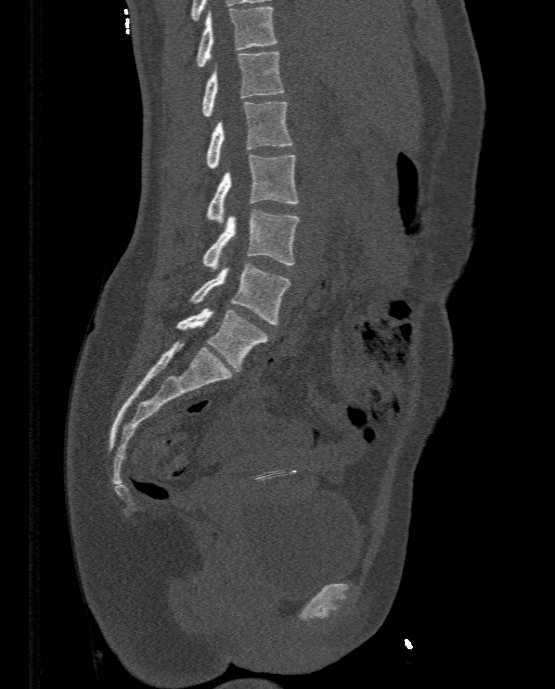

CT, spine — 333 mm wide — sagittal view — bone-window reconstruction — 555x689 px
<vertebrae><v name="T11" x1="196" y1="6" x2="276" y2="66"/><v name="T12" x1="202" y1="51" x2="284" y2="117"/><v name="L1" x1="206" y1="101" x2="292" y2="168"/><v name="L2" x1="205" y1="154" x2="298" y2="223"/><v name="L3" x1="202" y1="210" x2="300" y2="269"/><v name="L4" x1="190" y1="263" x2="291" y2="324"/><v name="L5" x1="177" y1="308" x2="269" y2="372"/></vertebrae>